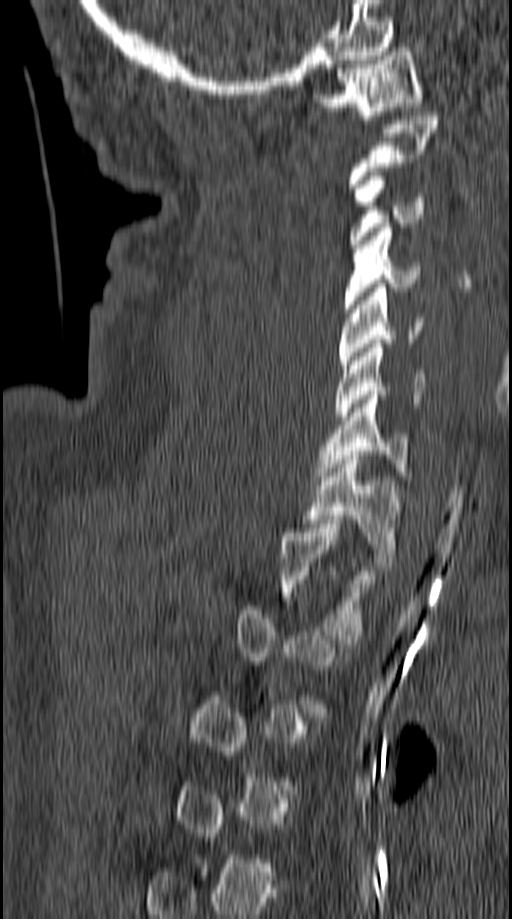

Computed tomography of the spine. sagittal view. 512x919 px
Columns x1, y1, x2, y2 give each box's top-left and bottom-right pixels.
Not every vertebra on this slice has a box: a vertebra is boxed only from the first to the last slice where its cross-section is at least a third of its largest, and this slice is outside that range for at least one of them.
| vertebra | x1 | y1 | x2 | y2 |
|---|---|---|---|---|
| T2 | 280 | 524 | 378 | 639 |
| T1 | 303 | 451 | 401 | 566 |
| C7 | 318 | 391 | 413 | 480 |
| C6 | 335 | 344 | 426 | 420 |
| C5 | 338 | 283 | 423 | 368 |
| C4 | 344 | 223 | 420 | 313 |
| C3 | 348 | 172 | 425 | 244 |
| C2 | 348 | 112 | 440 | 192 |
| C1 | 314 | 43 | 423 | 119 |